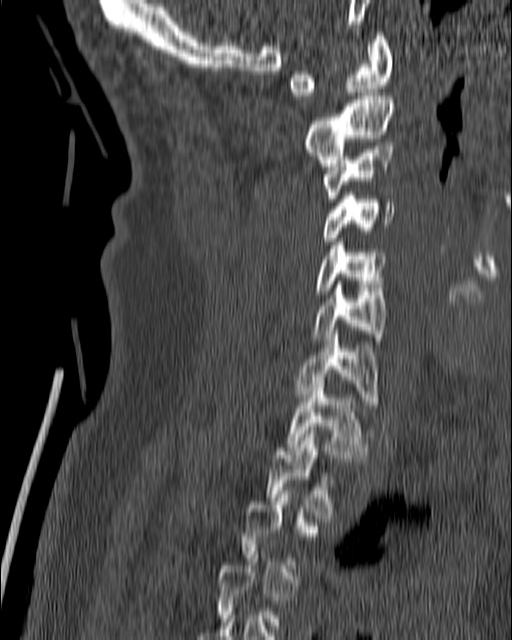

CT spine · sagittal reformat · bone window · 180 mm across the image · 512x640 px
Box values are [left, top, right, bottom] in pixels.
A vertebra gets a box only on the slices from the first to the last where its cross-section is at least a third of its largest; on a slice outside that range it gets none.
{"vertebrae":{"C1":[288,32,392,99],"C2":[302,92,393,166],"C3":[322,146,392,202],"C4":[319,192,395,241],"C5":[314,242,387,294],"C6":[311,284,387,347],"C7":[294,331,378,404],"T1":[285,380,367,461],"T2":[265,430,335,518]}}